Spine computed tomography · sagittal view · image 269 mm wide · 269x269 px
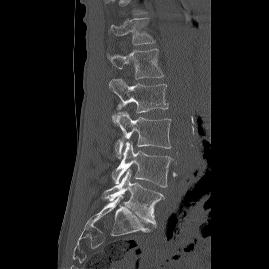 Coordinates as <box>x1,y1,x2,y2</box>. In this scan, the topmost labeled vertebra is T12 and the lowest is L5. The labeled vertebrae in this slice are: T12 at <box>108,18,155,45</box>, L1 at <box>107,49,164,79</box>, L2 at <box>109,78,168,113</box>, L3 at <box>112,111,171,158</box>, L4 at <box>112,141,172,187</box>, L5 at <box>100,169,164,227</box>.